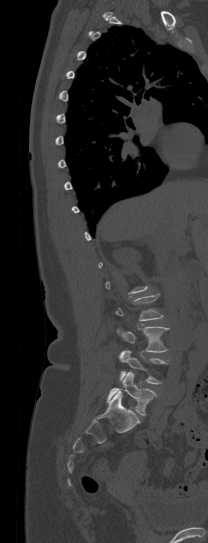

CT; sagittal view; 208 mm image width; 208x543 px

Not every vertebra on this slice has a box: a vertebra is boxed only from the first to the last slice where its cross-section is at least a third of its largest, and this slice is outside that range for at least one of them.
<vertebrae><v name="L3" x1="117" y1="327" x2="169" y2="352"/><v name="L4" x1="119" y1="350" x2="168" y2="384"/><v name="L5" x1="107" y1="372" x2="156" y2="415"/></vertebrae>